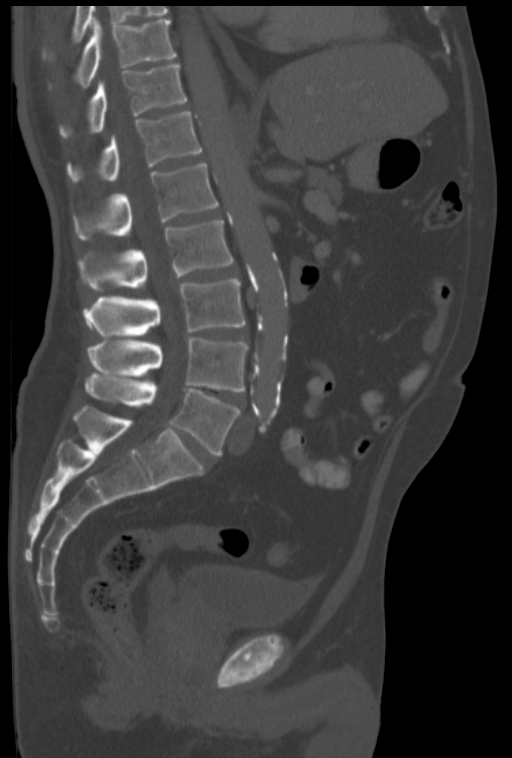
CT · sagittal view · 322 mm across the image
Box edges are left/top/right/bottom in pixels.
Labels in this scan begin with T10 at the top and end with L5 at the bottom.
| vertebra | x1 | y1 | x2 | y2 |
|---|---|---|---|---|
| T10 | 75 | 18 | 176 | 88 |
| T11 | 59 | 64 | 187 | 138 |
| T12 | 67 | 112 | 201 | 182 |
| L1 | 73 | 162 | 219 | 239 |
| L2 | 78 | 220 | 233 | 290 |
| L3 | 83 | 278 | 246 | 339 |
| L4 | 87 | 336 | 247 | 392 |
| L5 | 85 | 372 | 239 | 455 |